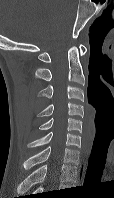
Spine CT · sagittal reformat · image width 114 mm · Bone window (WL 400, WW 1800) · 114x198 px
Labels in this scan begin with C1 at the top and end with C7 at the bottom.
<vertebrae><v name="C1" x1="38" y1="44" x2="86" y2="62"/><v name="C2" x1="35" y1="46" x2="85" y2="85"/><v name="C3" x1="37" y1="85" x2="84" y2="101"/><v name="C4" x1="37" y1="102" x2="83" y2="117"/><v name="C5" x1="38" y1="117" x2="82" y2="132"/><v name="C6" x1="27" y1="131" x2="80" y2="147"/><v name="C7" x1="23" y1="146" x2="79" y2="169"/></vertebrae>